Spine computed tomography. sagittal view. bone window. a region is masked with a constant gray value
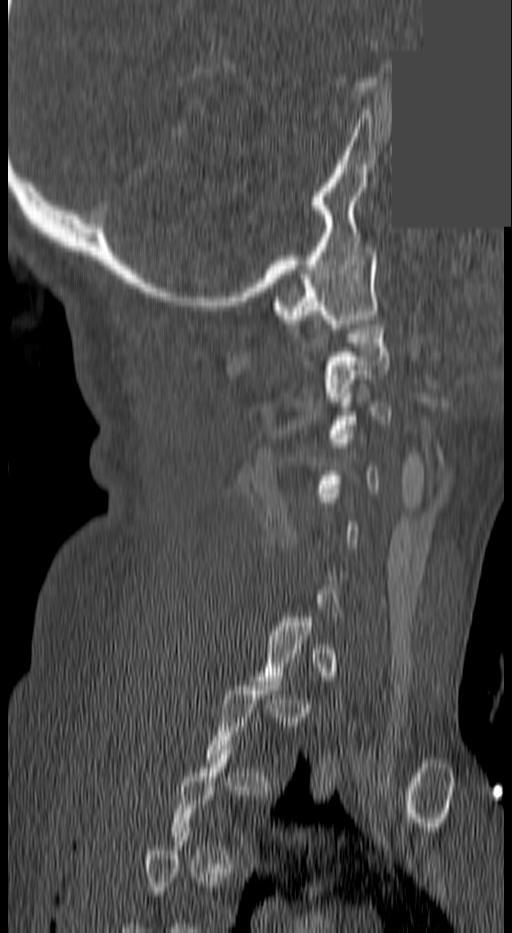
Coordinates as <box>x1,y1,x2,y2</box>. Each vertebra is boxed only on the slices from the first to the last where its cross-section reaches a third of its largest, so a slice outside that range leaves it unboxed. Vertebrae labeled: C1 at <box>271,247,377,328</box>, C2 at <box>327,320,389,401</box>.